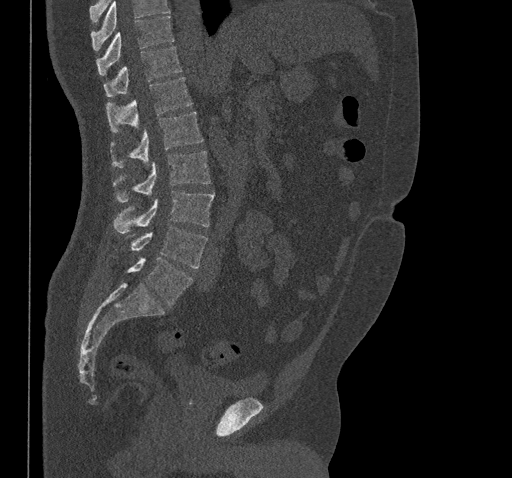 Computed tomography of the spine; sagittal view; bone-window reconstruction; 512x478 px
Boxes are (x1, y1, x2, y2) in pixels.
Where the top of the scan cuts through a vertebra, that vertebra gets no label or box.
T10: (97, 16, 174, 75)
T11: (103, 46, 182, 96)
T12: (106, 77, 192, 133)
L1: (110, 111, 203, 167)
L2: (112, 151, 210, 203)
L3: (113, 190, 214, 233)
L4: (130, 227, 207, 268)
L5: (128, 257, 193, 305)